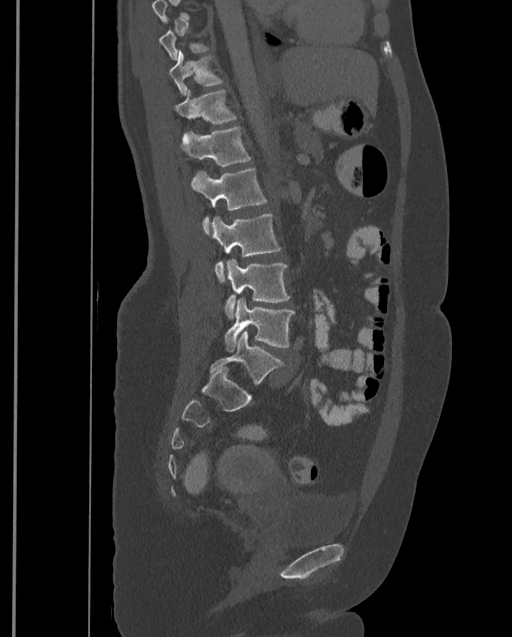

CT. sagittal view
Boxes are (x1, y1, x2, y2) in pixels.
Not every vertebra on this slice has a box: a vertebra is boxed only from the first to the last slice where its cross-section is at least a third of its largest, and this slice is outside that range for at least one of them.
The highest labeled vertebra in this scan is T9; the lowest is L4.
L4: (224, 298, 294, 350)
L3: (224, 259, 290, 319)
L2: (210, 212, 281, 282)
L1: (191, 167, 267, 233)
T12: (180, 126, 252, 166)
T11: (173, 90, 238, 125)
T10: (169, 50, 225, 95)